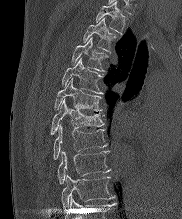
Spine computed tomography; sagittal reformat; the image is 182 mm wide; bone window; 182x219 px
<vertebrae><v name="T2" x1="96" y1="1" x2="126" y2="33"/><v name="T3" x1="83" y1="18" x2="117" y2="51"/><v name="T4" x1="72" y1="37" x2="107" y2="71"/><v name="T5" x1="62" y1="58" x2="103" y2="94"/><v name="T6" x1="54" y1="79" x2="102" y2="111"/><v name="T7" x1="51" y1="99" x2="104" y2="134"/><v name="T8" x1="53" y1="124" x2="106" y2="159"/><v name="T9" x1="57" y1="151" x2="110" y2="183"/><v name="T10" x1="61" y1="175" x2="113" y2="209"/></vertebrae>